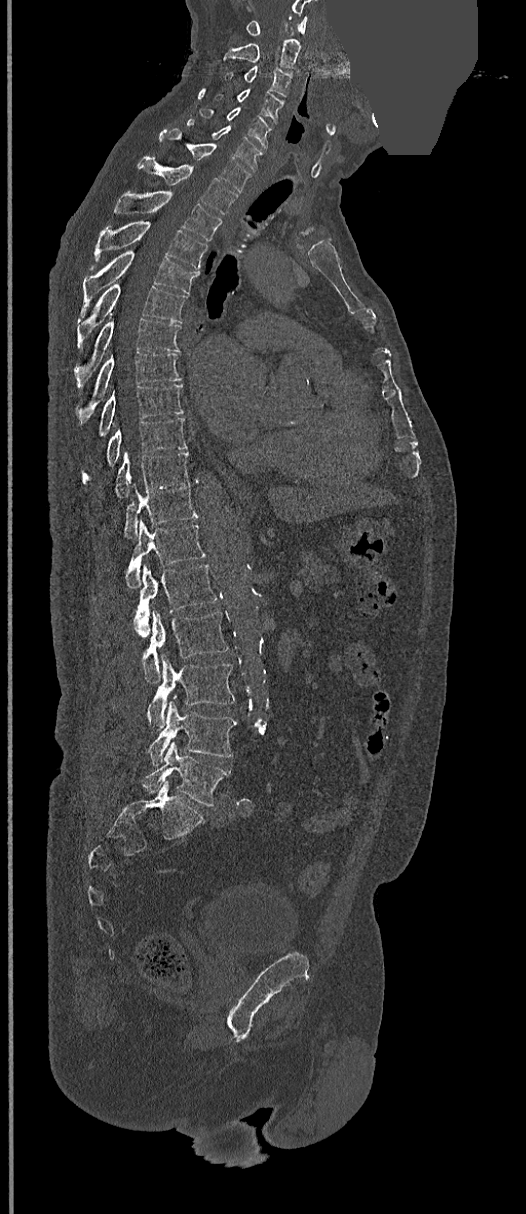

CT. sagittal view. some of the image was removed or blocked out with constant pixels

Coordinates as <box>x1,y1,x2,y2</box>.
Vertebra bounding boxes:
- L5: <box>143,741,230,806</box>
- L4: <box>148,698,236,766</box>
- L3: <box>147,654,234,729</box>
- L2: <box>143,610,227,683</box>
- L1: <box>132,564,218,636</box>
- T12: <box>125,520,204,588</box>
- T11: <box>124,483,197,538</box>
- T10: <box>114,451,189,498</box>
- T9: <box>82,417,187,483</box>
- T8: <box>99,384,183,436</box>
- T7: <box>77,351,182,422</box>
- T6: <box>74,319,180,388</box>
- T5: <box>77,284,187,349</box>
- T4: <box>81,250,199,312</box>
- T3: <box>92,220,207,269</box>
- T2: <box>114,191,222,240</box>
- T1: <box>139,157,237,213</box>
- C7: <box>160,129,252,192</box>
- C6: <box>187,119,263,170</box>
- C5: <box>199,107,272,148</box>
- C4: <box>215,89,283,120</box>
- C3: <box>227,66,291,96</box>
- C2: <box>224,39,300,73</box>
- C1: <box>245,16,307,35</box>